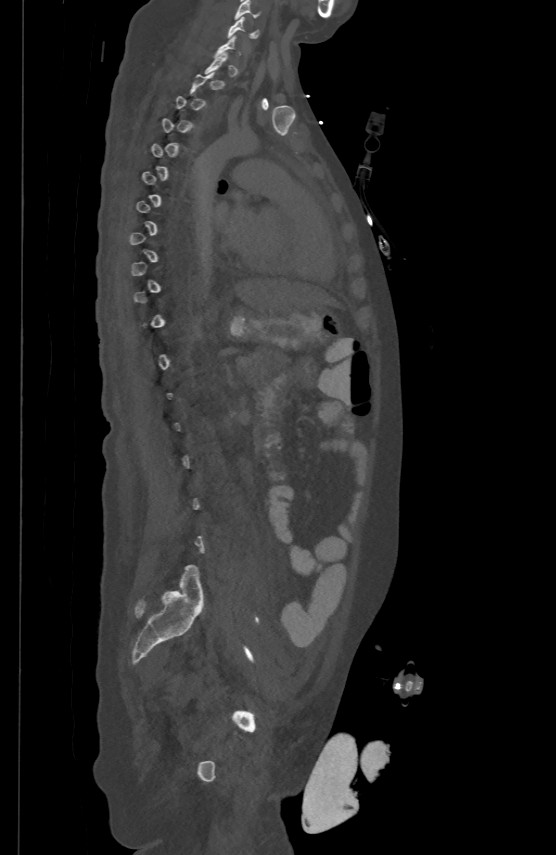

CT. sagittal view. bone window. 556x855 px. 500 mm image width
Boxes below are [x1, y1, x2, y2] in pixels.
A vertebra gets a box only on the slices from the first to the last where its cross-section is at least a third of its largest; on a slice outside that range it gets none.
{"vertebrae":{"C6":[228,15,258,36],"C5":[234,0,258,19]}}